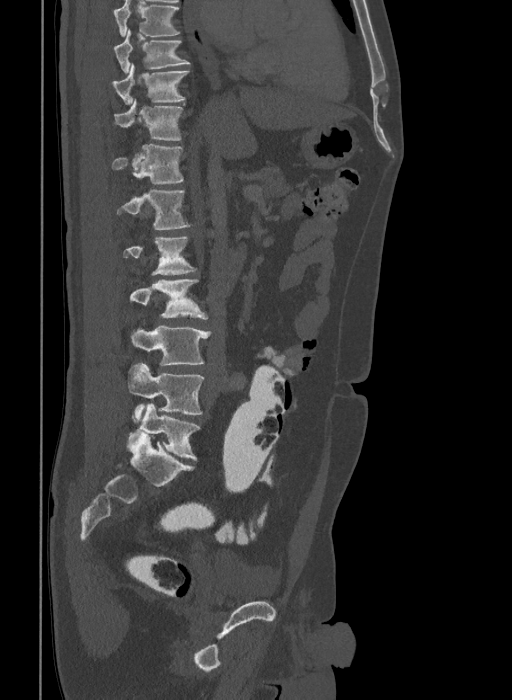

CT, spine. sagittal view. 512x700 px. the image spans 409 mm across
Box edges are left/top/right/bottom in pixels.
This scan's labels start at T9 at the top and end at L6 at the bottom.
In these labels the spine has an L6, a sixth lumbar vertebra below L5.
T9: left=114, top=29, right=190, bottom=73
T10: left=111, top=63, right=188, bottom=104
T11: left=114, top=99, right=183, bottom=140
T12: left=113, top=144, right=183, bottom=183
L1: left=118, top=190, right=190, bottom=229
L2: left=124, top=237, right=195, bottom=274
L3: left=129, top=279, right=208, bottom=319
L4: left=131, top=326, right=211, bottom=365
L5: left=128, top=363, right=204, bottom=419
L6: left=128, top=403, right=199, bottom=460